Computed tomography of the spine — Sagittal slice 356/768 — Bone window (WL 400, WW 1800) — 768x1012 px — scan covers 9 annotated vertebrae
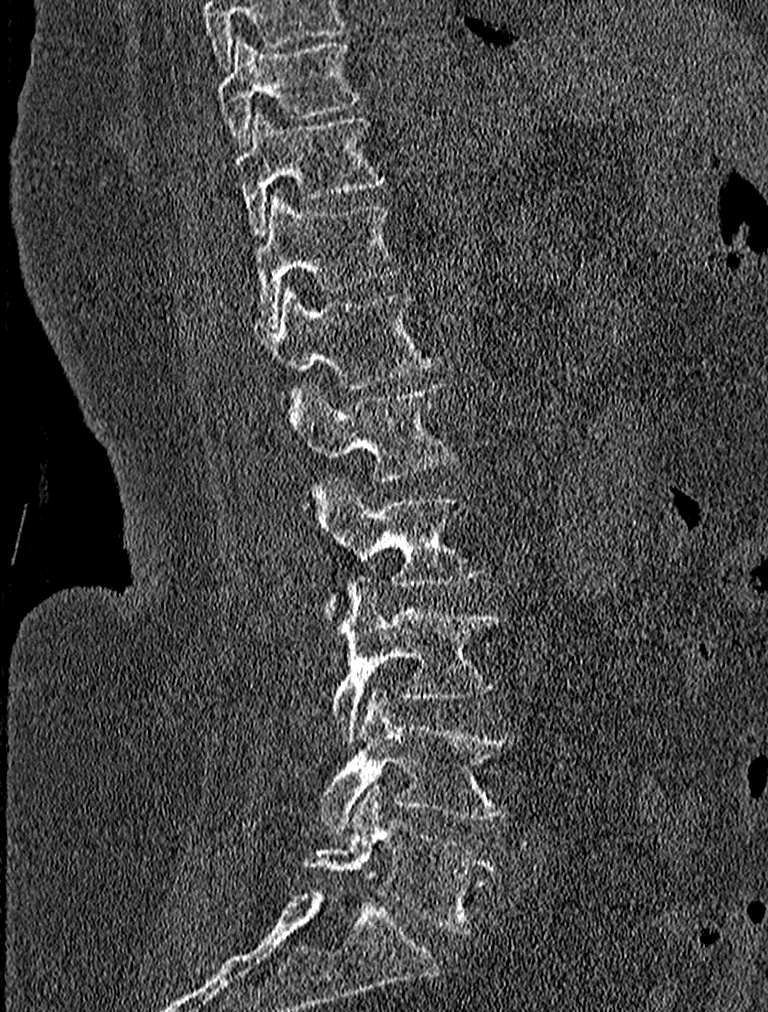 Boxes: x1 y1 x2 y2 (pixel coords, space-separated).
Labels in this scan begin with T9 at the top and end with L5 at the bottom.
Vertebra bounding boxes:
- T9: 219 35 360 147
- T10: 233 110 384 237
- T11: 254 190 400 329
- T12: 260 285 438 402
- L1: 290 382 455 480
- L2: 310 477 485 613
- L3: 330 579 499 742
- L4: 320 688 516 833
- L5: 303 783 499 932